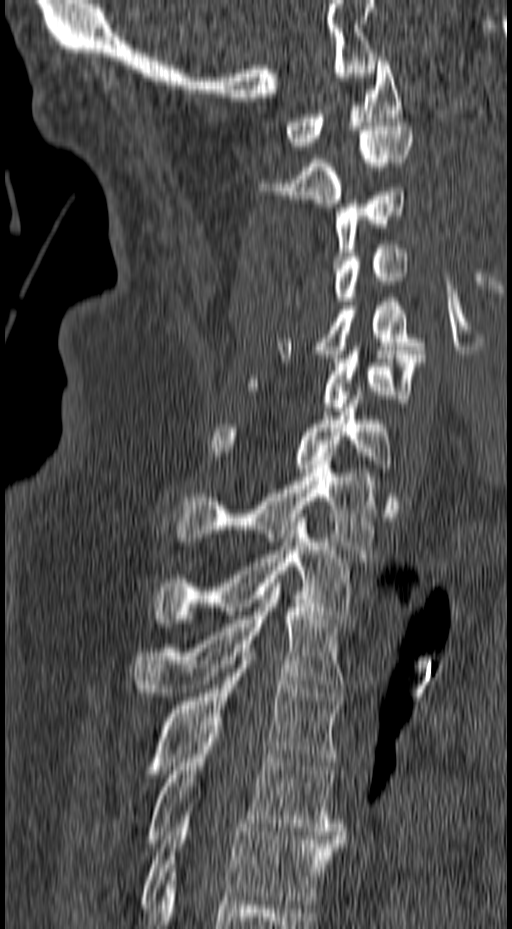 CT, spine · image 157 mm wide · sagittal view · 512x929 px
Boxes below are [x1, y1, x2, y2] in pixels.
{"vertebrae":{"C1":[285,57,401,150],"C2":[259,122,413,207],"C3":[334,188,405,260],"C4":[283,241,408,309],"C5":[277,294,424,358],"C6":[245,346,424,415],"C7":[207,387,391,484],"T1":[174,461,378,553],"T2":[154,518,352,623],"T3":[133,583,346,696],"T4":[144,648,343,774],"T5":[146,726,346,847],"T6":[142,811,343,908]}}